CT; sagittal plane, index 222; the image is 446 mm wide; 512x762 px
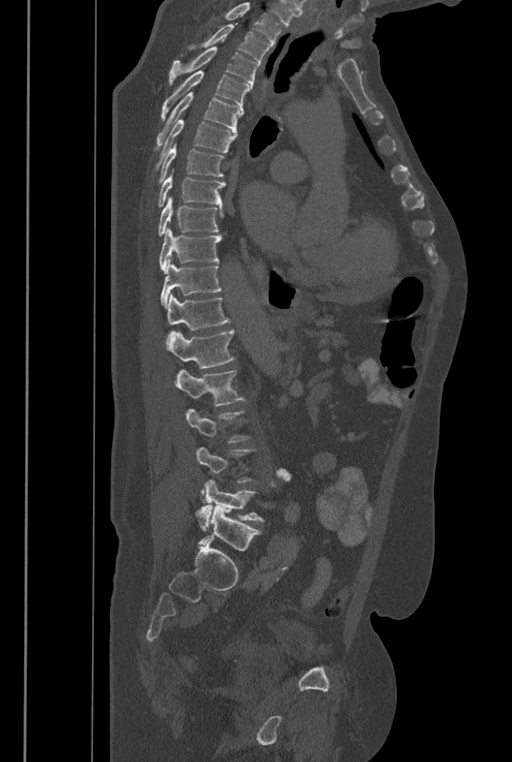

Each box is [x1, y1, x2, y2] in pixels: top-left corner, then bottom-right corner.
Not every vertebra on this slice has a box: a vertebra is boxed only from the first to the last slice where its cross-section is at least a third of its largest, and this slice is outside that range for at least one of them.
Where the top of the scan cuts through a vertebra, that vertebra gets no label or box.
These labels give the spine a sixth lumbar vertebra, L6, below L5.
{"vertebrae":{"T2":[188,25,270,63],"T3":[169,46,259,88],"T4":[162,70,250,118],"T5":[153,92,243,148],"T6":[154,120,235,169],"T7":[158,144,224,182],"T8":[158,169,225,207],"T9":[158,197,224,236],"T10":[159,228,222,273],"T11":[161,261,222,308],"T12":[165,293,230,343],"L1":[166,329,234,368],"L2":[175,370,245,406],"L5":[195,469,290,530],"L6":[197,505,260,551]}}